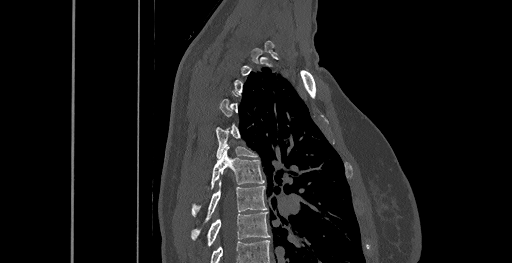
Spine computed tomography — sagittal view — the image spans 461 mm across — W/L 1800/400 HU — 512x263 px
Columns x1, y1, x2, y2 give each box's top-left and bottom-right pixels.
Not every vertebra on this slice has a box: a vertebra is boxed only from the first to the last slice where its cross-section is at least a third of its largest, and this slice is outside that range for at least one of them.
The highest labeled vertebra in this scan is C6; the lowest is T8.
| vertebra | x1 | y1 | x2 | y2 |
|---|---|---|---|---|
| T5 | 216 | 126 | 257 | 159 |
| T6 | 192 | 147 | 264 | 215 |
| T7 | 191 | 180 | 266 | 239 |
| T8 | 207 | 212 | 270 | 245 |